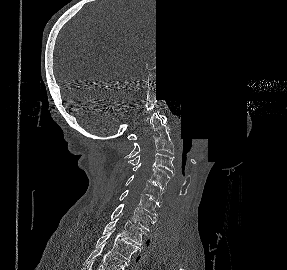
Computed tomography of the spine; sagittal view; image width 287 mm; Bone window (WL 400, WW 1800); 287x270 px; a portion of the image is blanked out (constant pixel value)

<vertebrae><v name="C1" x1="127" y1="111" x2="167" y2="139"/><v name="C2" x1="124" y1="113" x2="173" y2="158"/><v name="C3" x1="128" y1="153" x2="174" y2="175"/><v name="C4" x1="132" y1="163" x2="170" y2="190"/><v name="C5" x1="125" y1="175" x2="164" y2="205"/><v name="C6" x1="118" y1="189" x2="160" y2="218"/><v name="C7" x1="110" y1="204" x2="156" y2="230"/><v name="T1" x1="102" y1="218" x2="147" y2="247"/><v name="T2" x1="95" y1="228" x2="141" y2="261"/></vertebrae>